CT spine. sagittal view. W/L 1800/400 HU. 9 vertebrae labeled in this scan
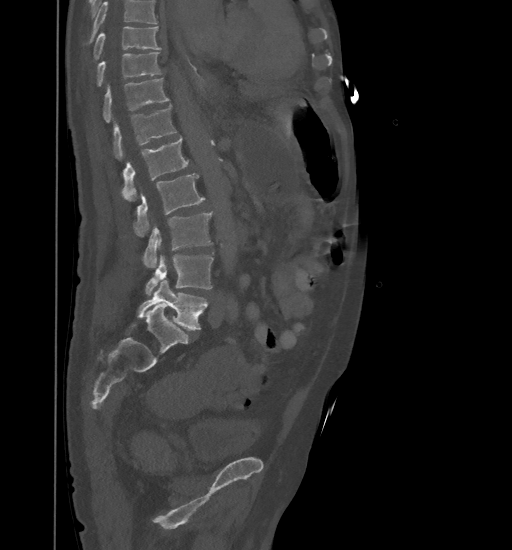

Where the top of the scan cuts through a vertebra, that vertebra gets no label or box.
<vertebrae><v name="L5" x1="137" y1="280" x2="207" y2="330"/><v name="L4" x1="145" y1="255" x2="213" y2="295"/><v name="L3" x1="142" y1="212" x2="212" y2="268"/><v name="L2" x1="134" y1="173" x2="205" y2="235"/><v name="L1" x1="122" y1="137" x2="189" y2="200"/><v name="T12" x1="113" y1="105" x2="177" y2="159"/><v name="T11" x1="103" y1="78" x2="169" y2="122"/><v name="T10" x1="96" y1="52" x2="161" y2="86"/><v name="T9" x1="93" y1="27" x2="161" y2="60"/></vertebrae>